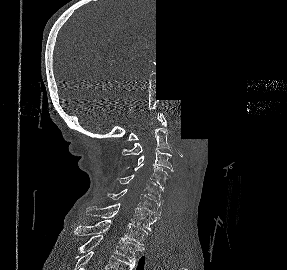

CT; sagittal view; W/L 1800/400 HU; 287 mm across the image; a portion of the image is blanked out (constant pixel value)

Each box given as x1,y1,x2,y2.
| vertebra | x1 | y1 | x2 | y2 |
|---|---|---|---|---|
| T2 | 76 | 235 | 144 | 266 |
| T1 | 74 | 220 | 147 | 245 |
| C7 | 84 | 203 | 157 | 231 |
| C6 | 105 | 188 | 161 | 217 |
| C5 | 116 | 174 | 163 | 205 |
| C4 | 126 | 164 | 170 | 189 |
| C3 | 138 | 150 | 173 | 171 |
| C2 | 122 | 128 | 172 | 155 |
| C1 | 126 | 113 | 166 | 140 |